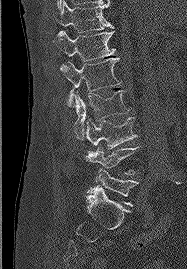 CT — sagittal view — W/L 1800/400 HU — image 187 mm wide — 187x269 px. Boxes are (x1, y1, x2, y2) in pixels. The labeled vertebrae in this slice are: T11 at (55, 1, 113, 32), T12 at (53, 31, 115, 61), L1 at (60, 57, 121, 106), L2 at (74, 90, 129, 139), L3 at (86, 117, 137, 152), L4 at (86, 146, 138, 181), L5 at (86, 168, 138, 206).